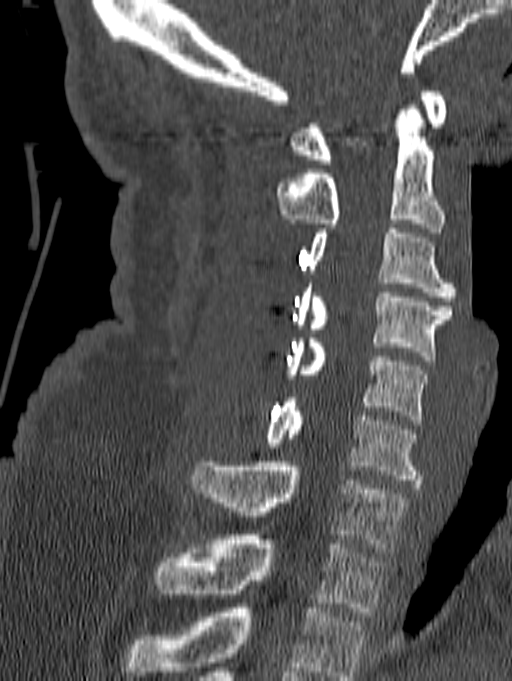

Computed tomography of the spine — sagittal view. Boxes are given in columns x1, y1, x2, y2, the pixel coordinates of their top-left and bottom-right corners.
In this scan, the topmost labeled vertebra is C1 and the lowest is T1.
| vertebra | x1 | y1 | x2 | y2 |
|---|---|---|---|---|
| C1 | 289 | 91 | 446 | 164 |
| C2 | 276 | 105 | 444 | 232 |
| C3 | 308 | 229 | 456 | 301 |
| C4 | 294 | 283 | 451 | 360 |
| C5 | 283 | 338 | 428 | 424 |
| C6 | 265 | 398 | 421 | 484 |
| C7 | 192 | 462 | 410 | 552 |
| T1 | 155 | 535 | 386 | 616 |